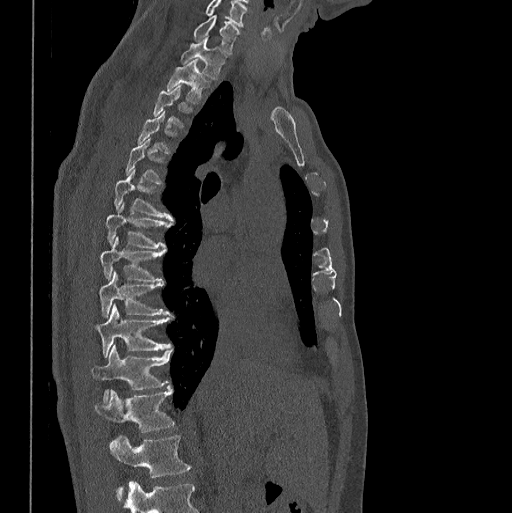 CT. sagittal view. 398 mm wide. 512x513 px
Boxes: x1 y1 x2 y2 (pixel coords, space-separated). Each vertebra is boxed only on the slices from the first to the last where its cross-section reaches a third of its largest, so a slice outside that range leaves it unboxed. The highest labeled vertebra in this scan is C7; the lowest is L1. The labeled vertebrae in this slice are: L1 at 109 435 191 498, T12 at 95 387 174 432, T11 at 91 344 171 401, T10 at 95 304 171 357, T9 at 99 271 170 317, T8 at 100 236 162 282, T7 at 105 203 171 249, T6 at 114 169 173 221, T3 at 153 86 191 125, T2 at 167 59 210 102, T1 at 181 37 225 79, C7 at 194 15 238 53.